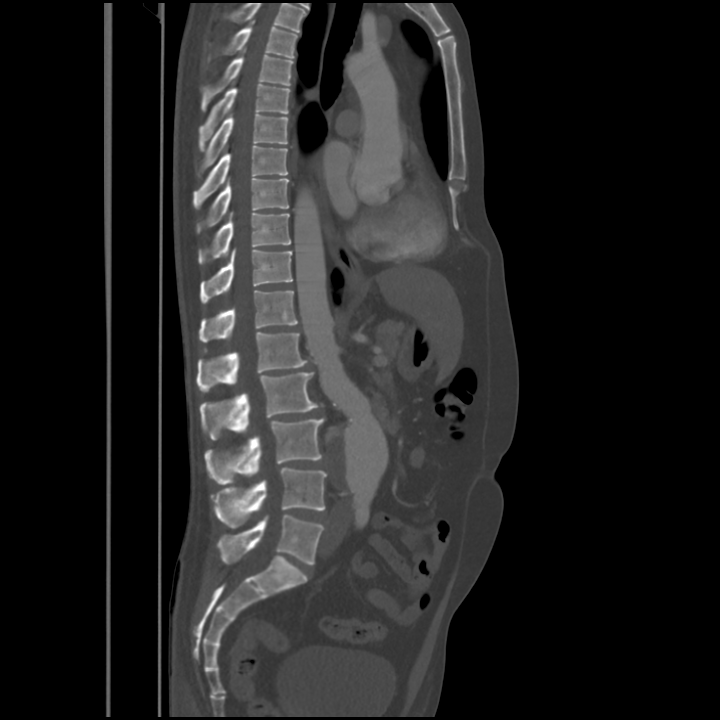 CT — sagittal reformat — 720x720 px. Coordinates as <box>x1,y1,x2,y2</box>.
This scan's labels start at T4 at the top and end at L5 at the bottom.
T4: <box>209,21,297,59</box>
T5: <box>201,49,293,110</box>
T6: <box>198,85,289,151</box>
T7: <box>202,114,288,169</box>
T8: <box>193,146,287,208</box>
T9: <box>197,178,288,233</box>
T10: <box>198,212,291,264</box>
T11: <box>200,248,292,304</box>
T12: <box>198,290,297,342</box>
L1: <box>196,331,306,392</box>
L2: <box>200,372,319,439</box>
L3: <box>205,418,324,484</box>
L4: <box>211,467,327,527</box>
L5: <box>218,514,324,564</box>